Computed tomography of the spine · Sagittal slice 256/512 · bone window · scan covers 9 annotated vertebrae · the image is 412 mm wide
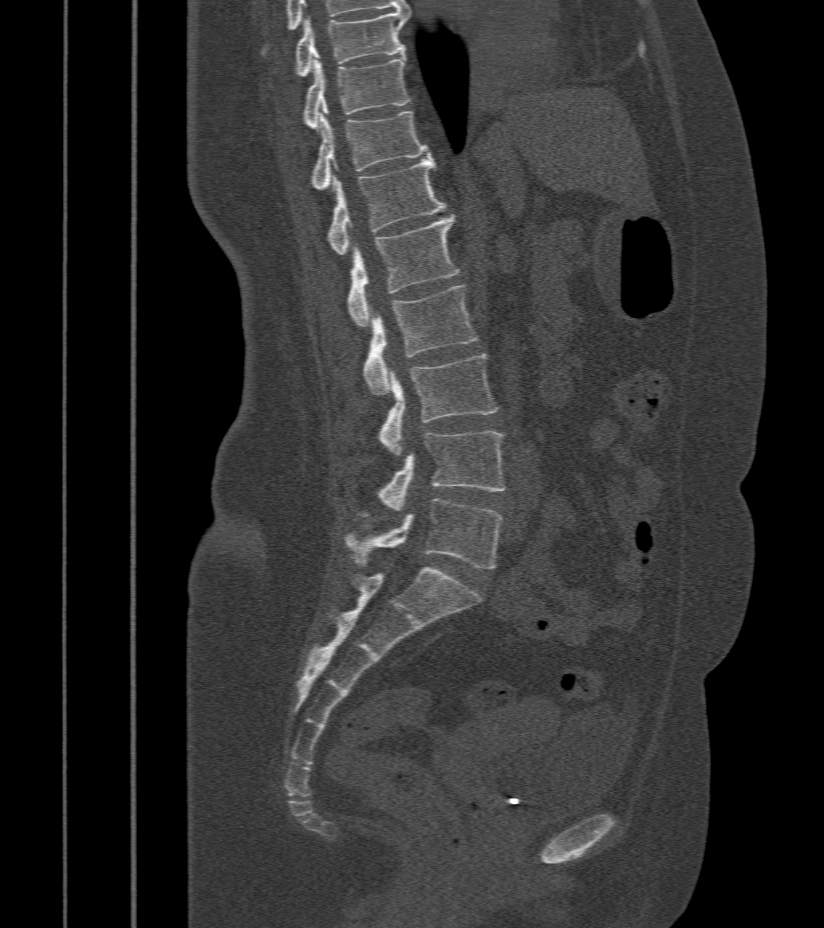

Each box is [x1, y1, x2, y2] in pixels: top-left corner, then bottom-right corner.
{"vertebrae":{"L5":[346,499,503,568],"L4":[362,431,504,516],"L3":[378,355,500,456],"L2":[364,285,479,396],"L1":[348,215,459,328],"T12":[328,159,446,254],"T11":[312,107,429,190],"T10":[304,55,411,130],"T9":[296,11,409,76]}}